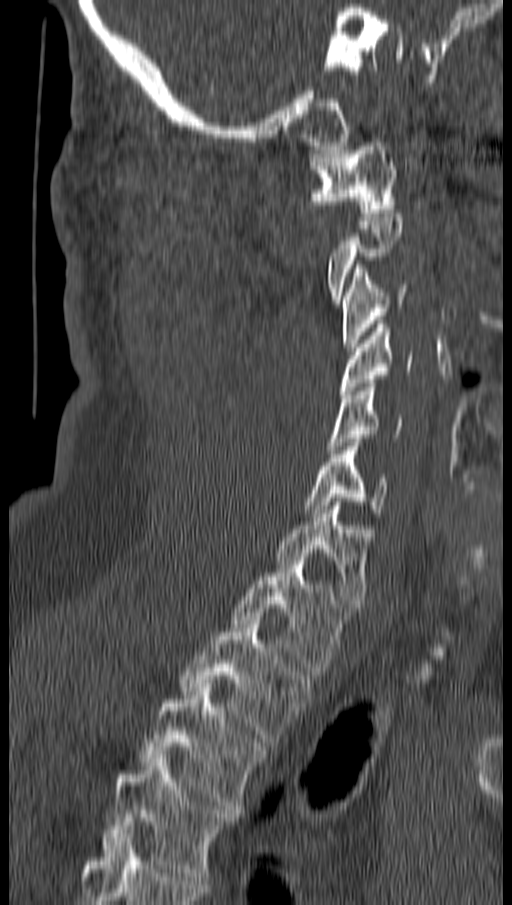

Computed tomography of the spine · sagittal view
Bounding boxes as [x1, y1, x2, y2] in pixel coordinates. Each vertebra is boxed only on the slices from the first to the last where its cross-section reaches a third of its largest, so a slice outside that range leaves it unboxed. Vertebrae labeled: T4 at [102, 755, 237, 880], T3 at [140, 683, 266, 813], T2 at [178, 620, 313, 742], T1 at [232, 557, 348, 675], C7 at [276, 502, 370, 607], C6 at [304, 442, 389, 517], C5 at [330, 383, 401, 453], C4 at [339, 324, 412, 398], C3 at [342, 265, 409, 351], C1 at [311, 138, 398, 216].